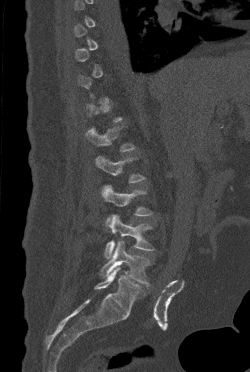 Computed tomography of the spine; sagittal view; Bone window (WL 400, WW 1800)

Boxes: x1 y1 x2 y2 (pixel coords, space-separated).
Each vertebra is boxed only on the slices from the first to the last where its cross-section reaches a third of its largest, so a slice outside that range leaves it unboxed.
L5: 101 240 150 286
L4: 104 214 154 258
L3: 102 185 152 225
L2: 95 156 145 183
L1: 85 127 135 151